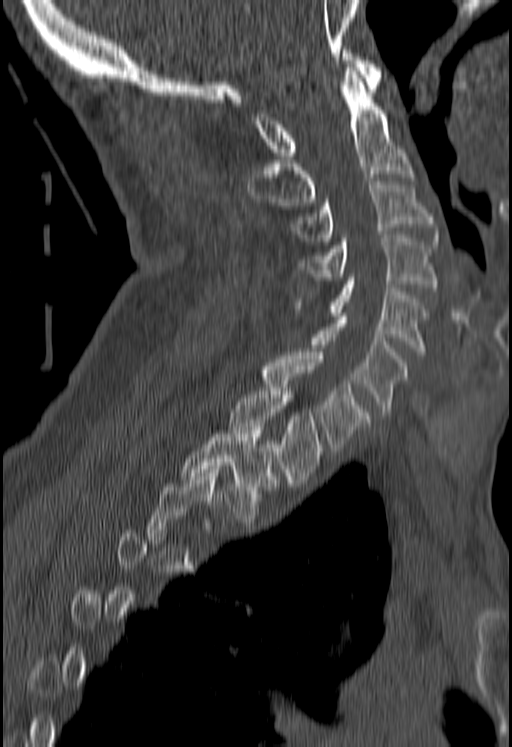 CT spine; sagittal view; 180 mm across the image; 512x747 px
Box edges are left/top/right/bottom in pixels. Each vertebra is boxed only on the slices from the first to the last where its cross-section reaches a third of its largest, so a slice outside that range leaves it unboxed. The labeled vertebrae in this slice are: C1 at left=250, top=50, right=381, bottom=159, C2 at left=248, top=68, right=412, bottom=205, C3 at left=291, top=181, right=438, bottom=241, C4 at left=298, top=235, right=438, bottom=291, C5 at left=293, top=277, right=427, bottom=355, C6 at left=308, top=313, right=407, bottom=415, C7 at left=260, top=348, right=370, bottom=451, T1 at left=228, top=384, right=322, bottom=483, T2 at left=180, top=427, right=279, bottom=522.